Spine computed tomography — sagittal reformat — scan covers 8 annotated vertebrae
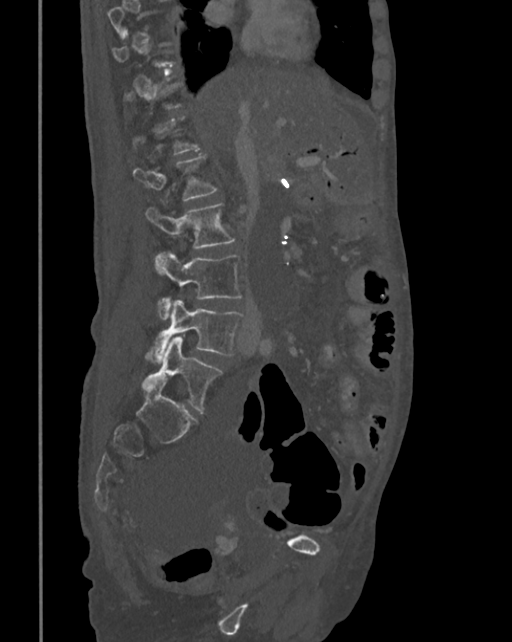

Each box given as x1,y1,x2,y2.
Not every vertebra on this slice has a box: a vertebra is boxed only from the first to the last slice where its cross-section is at least a third of its largest, and this slice is outside that range for at least one of them.
| vertebra | x1 | y1 | x2 | y2 |
|---|---|---|---|---|
| L1 | 133 | 156 | 217 | 200 |
| L2 | 145 | 204 | 235 | 261 |
| L3 | 154 | 252 | 243 | 320 |
| L4 | 146 | 299 | 243 | 364 |
| L5 | 143 | 335 | 222 | 410 |